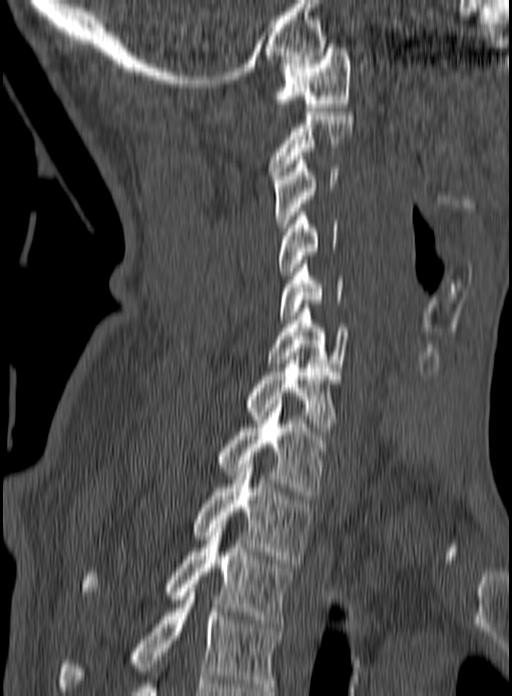

CT. sagittal view. W/L 1800/400 HU. 160 mm across the image. 512x696 px

Bounding boxes as [x1, y1, x2, y2] in pixel coordinates. In this scan, the topmost labeled vertebra is C1 and the lowest is T3. The labeled vertebrae in this slice are: C1 at [273, 48, 351, 111], C2 at [268, 112, 355, 179], C3 at [273, 156, 339, 231], C4 at [278, 212, 338, 279], C5 at [280, 260, 343, 319], C6 at [265, 304, 349, 367], C7 at [244, 356, 339, 431], T1 at [216, 400, 334, 499], T2 at [193, 464, 314, 563], T3 at [81, 516, 291, 623].